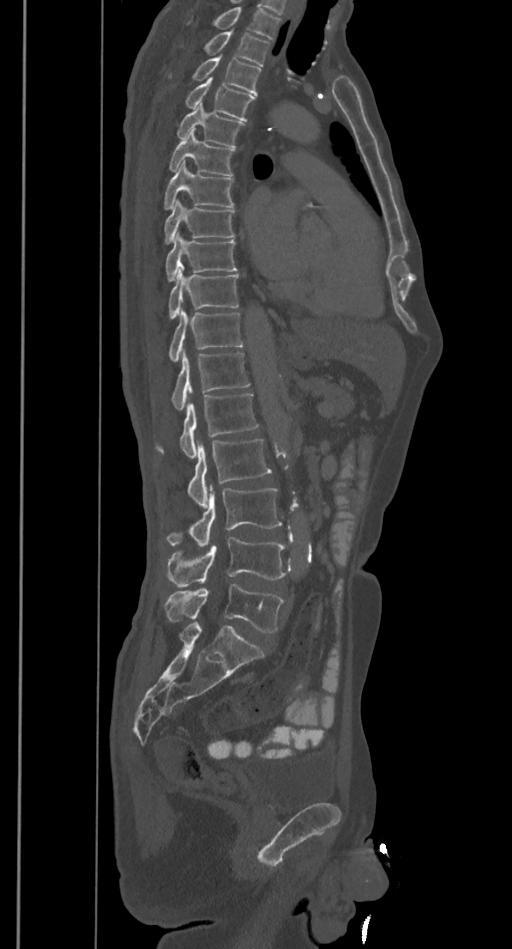
Computed tomography of the spine; sagittal view; image width 385 mm
Box edges are left/top/right/bottom in pixels.
No box is given to a vertebra that the top edge of the scan cuts off.
T2: left=205, top=31, right=269, bottom=66
T3: left=193, top=55, right=261, bottom=95
T4: left=185, top=77, right=255, bottom=120
T5: left=177, top=103, right=244, bottom=147
T6: left=169, top=129, right=234, bottom=175
T7: left=163, top=160, right=233, bottom=208
T8: left=165, top=199, right=234, bottom=243
T9: left=166, top=232, right=237, bottom=280
T10: left=169, top=272, right=238, bottom=319
T11: left=169, top=310, right=242, bottom=360
T12: left=171, top=351, right=250, bottom=410
L1: left=155, top=394, right=258, bottom=457
L2: left=187, top=438, right=271, bottom=508
L3: left=166, top=485, right=281, bottom=546
L4: left=167, top=537, right=290, bottom=587
L5: left=165, top=583, right=285, bottom=632